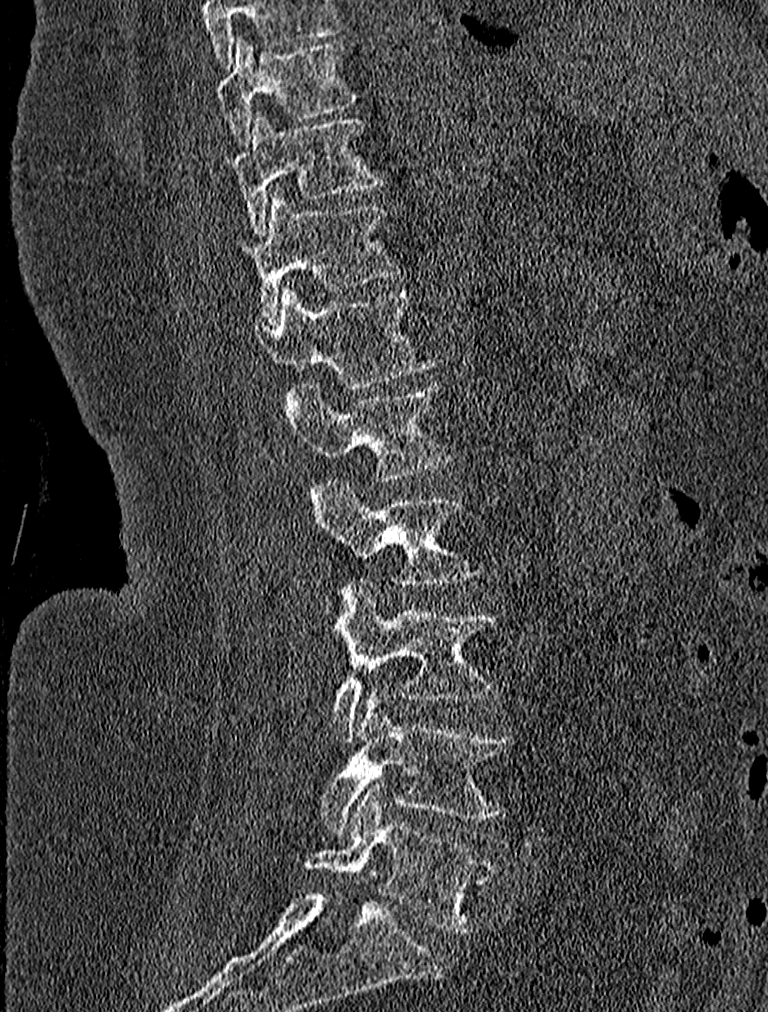

CT, spine. sagittal view. 768x1012 px. 227 mm across the image

In this scan, the topmost labeled vertebra is T9 and the lowest is L5.
<vertebrae><v name="T9" x1="219" y1="35" x2="360" y2="144"/><v name="T10" x1="229" y1="110" x2="384" y2="237"/><v name="T11" x1="235" y1="190" x2="400" y2="323"/><v name="T12" x1="260" y1="285" x2="438" y2="401"/><v name="L1" x1="290" y1="382" x2="455" y2="480"/><v name="L2" x1="310" y1="477" x2="485" y2="613"/><v name="L3" x1="330" y1="580" x2="499" y2="742"/><v name="L4" x1="320" y1="688" x2="514" y2="833"/><v name="L5" x1="303" y1="783" x2="499" y2="932"/></vertebrae>